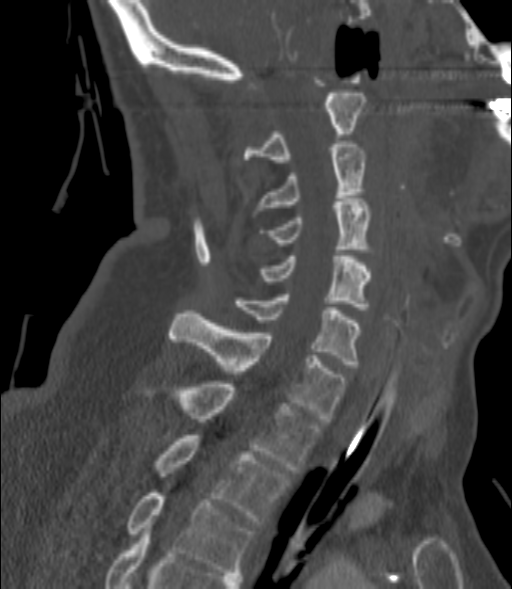 CT spine · sagittal view · bone window · 512x589 px · 200 mm image width
Boxes are given in columns x1, y1, x2, y2, the pixel coordinates of their top-left and bottom-right corners.
| vertebra | x1 | y1 | x2 | y2 |
|---|---|---|---|---|
| C2 | 244 | 93 | 366 | 162 |
| C3 | 257 | 144 | 366 | 210 |
| C4 | 262 | 198 | 371 | 249 |
| C5 | 259 | 253 | 371 | 309 |
| C6 | 234 | 294 | 361 | 367 |
| C7 | 170 | 310 | 345 | 421 |
| T1 | 142 | 381 | 320 | 473 |
| T2 | 154 | 435 | 289 | 524 |
| T3 | 126 | 493 | 253 | 575 |